CT spine · image 222 mm wide · sagittal view · 222x589 px
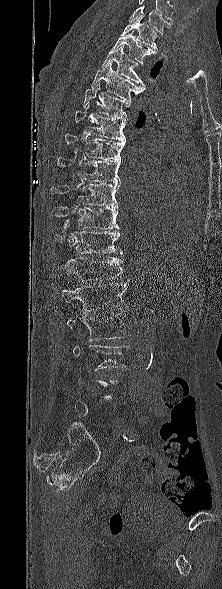 Box values are [left, top, right, bottom] in pixels.
A vertebra is boxed only from the first to the last slice where its cross-section is at least a third of its largest; slices outside that range leave it without a box.
The highest labeled vertebra in this scan is T1; the lowest is L5.
{"vertebrae":{"L3":[73,345,128,371],"L2":[67,312,127,341],"L1":[61,280,129,312],"T12":[60,257,123,281],"T11":[54,225,122,254],"T10":[51,206,119,230],"T9":[51,184,119,207],"T8":[57,157,120,184],"T7":[64,133,125,160],"T6":[75,105,126,141],"T5":[83,84,131,119],"T4":[91,61,144,100],"T3":[101,46,145,86],"T2":[112,29,155,64],"T1":[121,16,158,52]}}